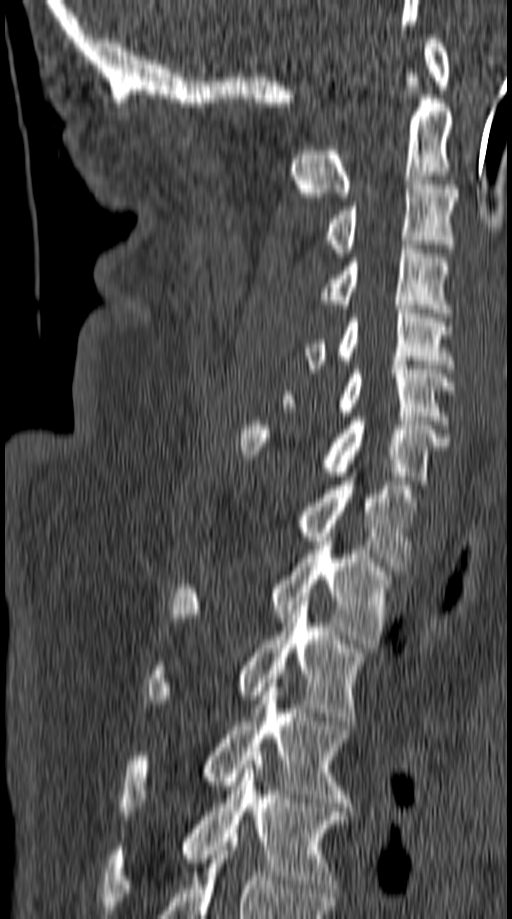
Spine computed tomography · sagittal reformat · Bone window (WL 400, WW 1800)

Boxes: x1:y1:x2:y2 in pixels. The labeled vertebrae in this slice are: T5 at 104:760:347:910, T4 at 118:683:351:815, T3 at 146:597:364:721, T2 at 170:537:389:648, T1 at 300:481:417:566, C7 at 241:417:450:484, C6 at 282:365:454:424, C5 at 304:305:453:373, C4 at 321:245:450:313, C3 at 324:180:457:257, C2 at 290:77:454:197, C1 at 424:34:450:85.